CT, spine — sagittal plane, index 37 — 220x220 px
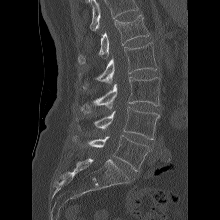 In the table, x1 and y1 are a box's top-left corner and x2 and y2 its bottom-right corner, in pixels.
A vertebra cut off by the top edge of the scan is not labeled and has no box.
| vertebra | x1 | y1 | x2 | y2 |
|---|---|---|---|---|
| L1 | 78 | 14 | 149 | 64 |
| L2 | 79 | 43 | 157 | 88 |
| L3 | 80 | 77 | 160 | 114 |
| L4 | 76 | 106 | 159 | 139 |
| L5 | 71 | 135 | 151 | 171 |